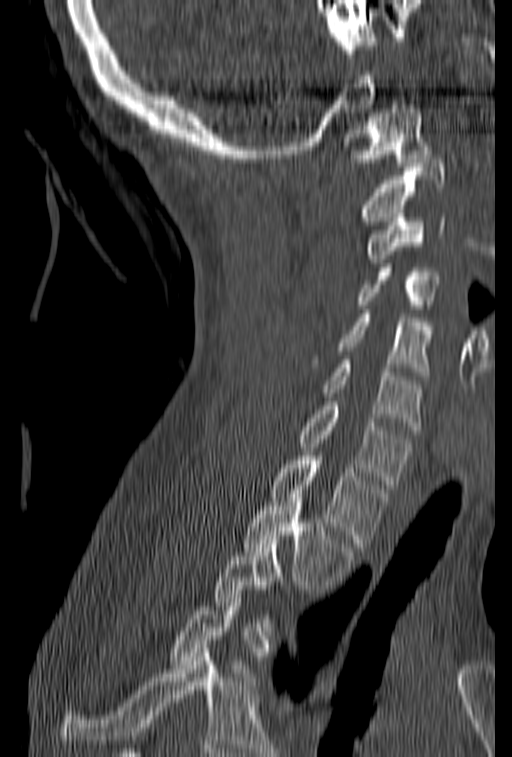

CT spine; sagittal view; 512x757 px; 153 mm wide

A vertebra is boxed only from the first to the last slice where its cross-section is at least a third of its largest; slices outside that range leave it without a box.
<vertebrae><v name="C1" x1="342" y1="105" x2="431" y2="166"/><v name="C2" x1="359" y1="159" x2="445" y2="229"/><v name="C3" x1="364" y1="209" x2="445" y2="263"/><v name="C4" x1="355" y1="264" x2="439" y2="313"/><v name="C5" x1="307" y1="310" x2="432" y2="380"/><v name="C6" x1="322" y1="356" x2="422" y2="430"/><v name="C7" x1="296" y1="397" x2="412" y2="488"/><v name="T1" x1="269" y1="452" x2="392" y2="547"/><v name="T2" x1="243" y1="494" x2="355" y2="593"/></vertebrae>